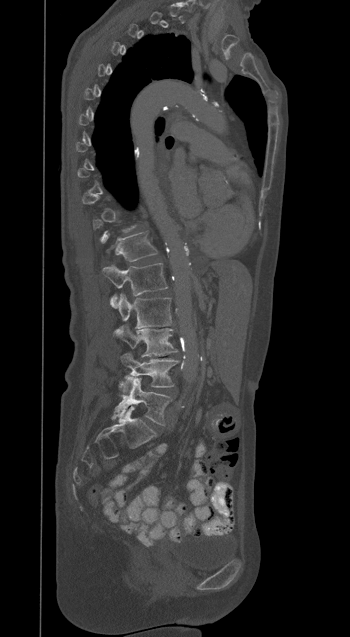
Spine computed tomography — sagittal view — 350x637 px

Boxes: x1 y1 x2 y2 (pixel coords, space-separated).
Each vertebra is boxed only on the slices from the first to the last where its cross-section reaches a third of its largest, so a slice outside that range leaves it unboxed.
T12: 103 232 157 261
L1: 103 263 167 307
L2: 111 293 172 332
L3: 115 325 177 355
L4: 121 353 178 391
L5: 112 376 172 425